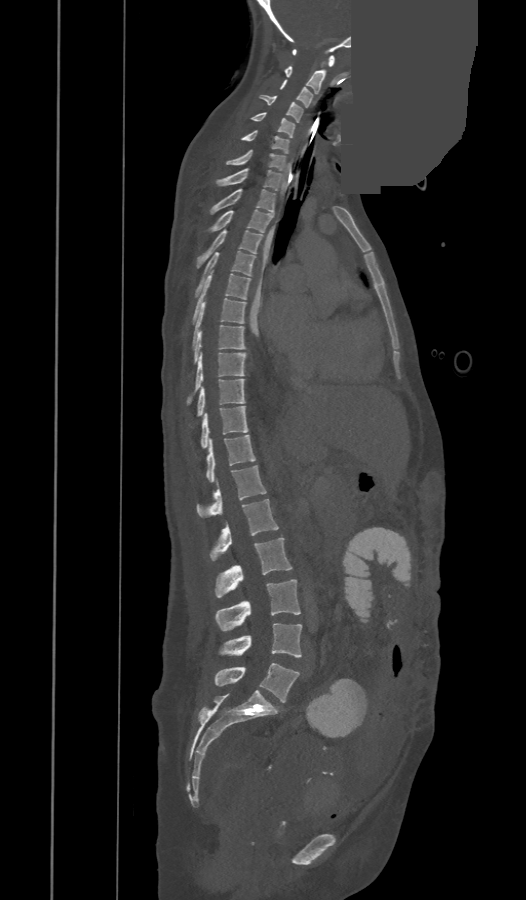 CT, spine; sagittal view; bone-window reconstruction; an area of the scan was removed and filled with constant pixels
Box values are [left, top, right, bottom] in pixels.
The labels name an extra thoracic vertebra here, T13, which comes after T12 and before L1.
{"vertebrae":{"C1":[292,49,334,66],"C2":[285,66,325,94],"C3":[280,80,312,107],"C4":[260,95,302,121],"C5":[250,112,295,137],"C6":[241,130,288,154],"C7":[227,150,285,170],"T1":[217,169,282,190],"T2":[210,189,275,214],"T3":[212,209,273,232],"T4":[197,229,262,267],"T5":[195,251,255,296],"T6":[192,269,250,324],"T7":[193,298,245,343],"T8":[194,325,245,363],"T9":[187,352,245,405],"T10":[197,379,244,416],"T11":[200,406,247,448],"T12":[205,435,256,481],"T13":[197,466,266,518],"L1":[210,499,278,561],"L2":[216,538,292,597],"L3":[216,579,300,631],"L4":[218,623,301,657],"L5":[215,662,299,702]}}